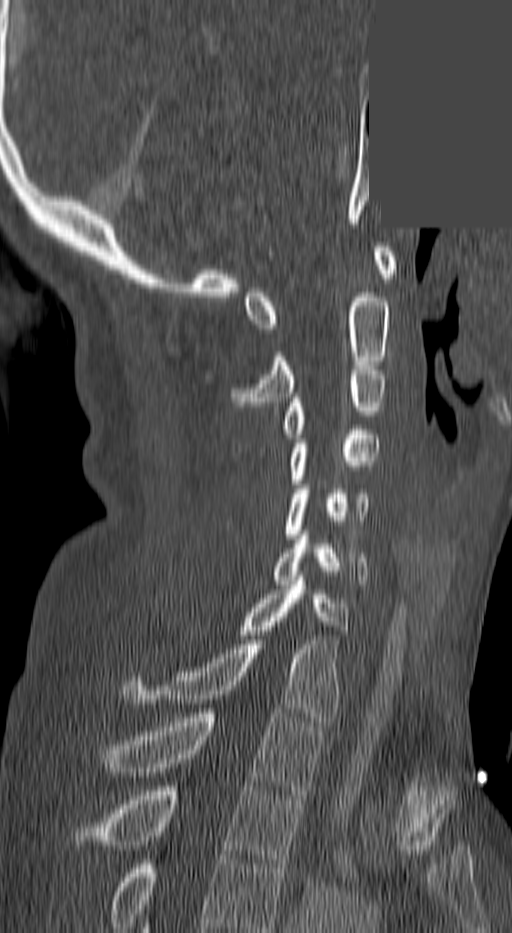
Spine computed tomography. sagittal reformat. a region is masked with a constant gray value

Coordinates as <box>x1,y1,x2,y2</box>. The highest labeled vertebra in this scan is C1; the lowest is T3. 10 vertebrae labeled — C1 at <box>243,247,395,333</box>; C2 at <box>232,288,388,406</box>; C3 at <box>279,366,388,438</box>; C4 at <box>286,430,377,484</box>; C5 at <box>284,485,370,538</box>; C6 at <box>272,535,368,584</box>; C7 at <box>235,576,348,639</box>; T1 at <box>122,640,340,721</box>; T2 at <box>107,709,322,794</box>; T3 at <box>67,786,304,868</box>.